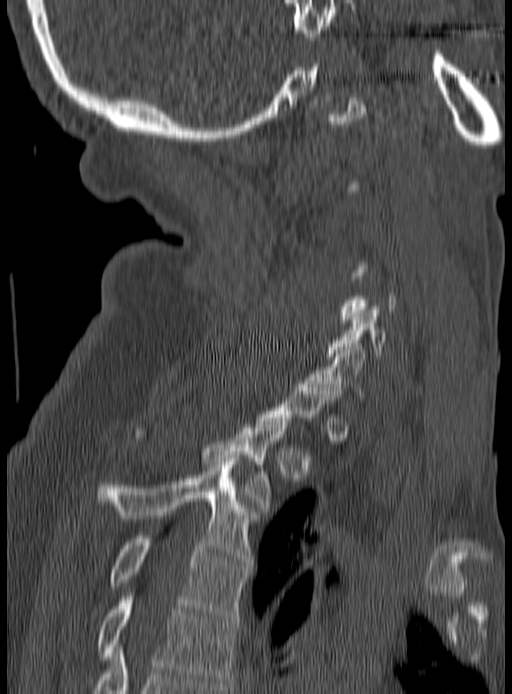 CT · sagittal view · bone-window reconstruction · image width 190 mm · 512x694 px. Each box given as x1,y1,x2,y2. Each vertebra is boxed only on the slices from the first to the last where its cross-section reaches a third of its largest, so a slice outside that range leaves it unboxed. 6 vertebrae labeled — C6 at x1=327, y1=307, x2=386, y2=356; C7 at x1=307, y1=344, x2=366, y2=400; T2 at x1=203, y1=418, x2=289, y2=511; T3 at x1=95, y1=458, x2=253, y2=565; T4 at x1=109, y1=536, x2=248, y2=619; T5 at x1=98, y1=596, x2=237, y2=686.